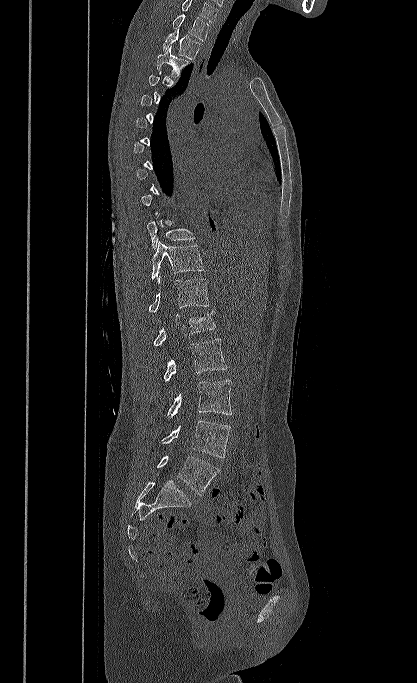
Spine computed tomography. sagittal view. 417x683 px. 417 mm wide

Not every vertebra on this slice has a box: a vertebra is boxed only from the first to the last slice where its cross-section is at least a third of its largest, and this slice is outside that range for at least one of them.
This scan's labels start at T1 at the top and end at L5 at the bottom.
<vertebrae><v name="T1" x1="172" y1="14" x2="210" y2="41"/><v name="T2" x1="163" y1="28" x2="201" y2="59"/><v name="T3" x1="157" y1="46" x2="188" y2="76"/><v name="T10" x1="146" y1="213" x2="195" y2="250"/><v name="T11" x1="151" y1="241" x2="204" y2="279"/><v name="T12" x1="148" y1="277" x2="209" y2="312"/><v name="L1" x1="153" y1="311" x2="216" y2="346"/><v name="L2" x1="163" y1="338" x2="227" y2="381"/><v name="L3" x1="167" y1="380" x2="232" y2="417"/><v name="L4" x1="161" y1="420" x2="230" y2="457"/><v name="L5" x1="157" y1="455" x2="219" y2="495"/></vertebrae>